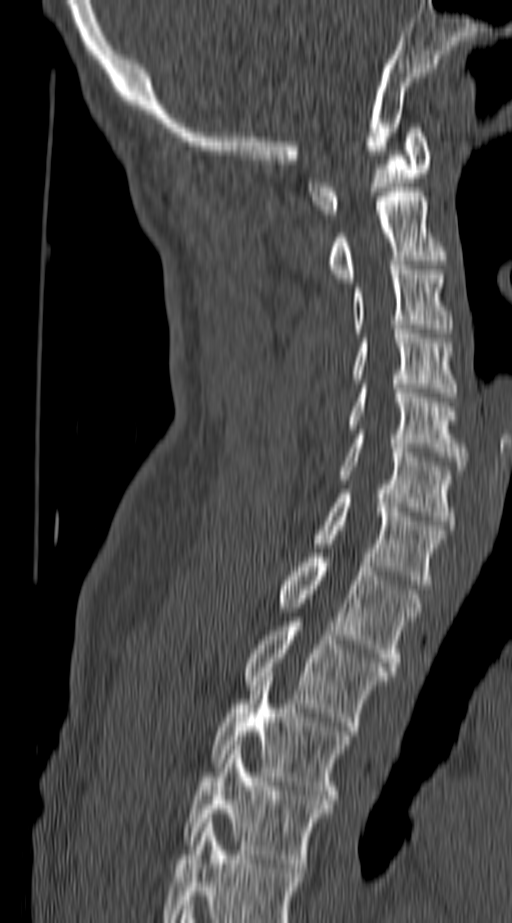
Spine CT; sagittal view; 512x923 px. Coordinates as <box>x1,y1,x2,y2</box>. This scan's labels start at C1 at the top and end at T4 at the bottom. 11 vertebrae labeled — C1 at <box>309,128,432,214</box>; C2 at <box>327,192,447,282</box>; C3 at <box>352,265,450,328</box>; C4 at <box>352,329,457,397</box>; C5 at <box>349,384,468,470</box>; C6 at <box>338,434,454,525</box>; C7 at <box>312,494,447,584</box>; T1 at <box>279,553,421,666</box>; T2 at <box>243,622,388,730</box>; T3 at <box>210,672,351,804</box>; T4 at <box>184,745,333,872</box>.